Spine CT. sagittal reformat. 208 mm image width
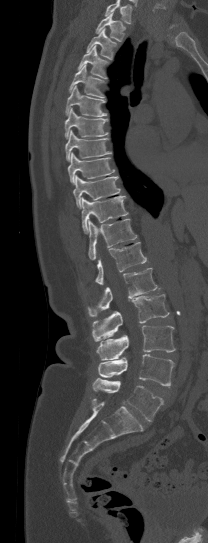 Each row gives a vertebra's box as x1, y1, x2, y2 in pixels: top-left corner, then bottom-right corner.
A vertebra cut off by the top edge of the scan is not labeled and has no box.
| vertebra | x1 | y1 | x2 | y2 |
|---|---|---|---|---|
| T1 | 95 | 13 | 125 | 41 |
| T2 | 87 | 28 | 116 | 59 |
| T3 | 78 | 45 | 108 | 78 |
| T4 | 69 | 65 | 104 | 97 |
| T5 | 65 | 86 | 106 | 116 |
| T6 | 65 | 108 | 108 | 139 |
| T7 | 65 | 130 | 111 | 160 |
| T8 | 68 | 152 | 114 | 183 |
| T9 | 73 | 175 | 120 | 209 |
| T10 | 81 | 196 | 127 | 233 |
| T11 | 88 | 219 | 136 | 259 |
| T12 | 95 | 242 | 146 | 284 |
| L1 | 88 | 268 | 157 | 316 |
| L2 | 92 | 294 | 169 | 341 |
| L3 | 96 | 325 | 174 | 360 |
| L4 | 98 | 354 | 176 | 387 |
| L5 | 92 | 378 | 163 | 421 |